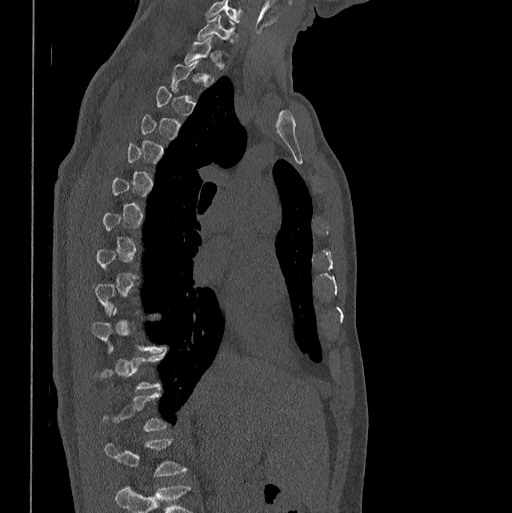 Computed tomography of the spine. sagittal reformat. bone window
A vertebra gets a box only on the slices from the first to the last where its cross-section is at least a third of its largest; on a slice outside that range it gets none.
Labels in this scan begin with C7 at the top and end with L1 at the bottom.
<vertebrae><v name="C7" x1="197" y1="15" x2="236" y2="40"/><v name="T1" x1="184" y1="37" x2="221" y2="65"/><v name="L1" x1="105" y1="439" x2="187" y2="476"/></vertebrae>